CT; sagittal reformat; bone-window reconstruction
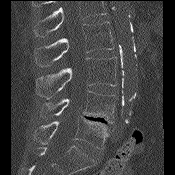 Where the top of the scan cuts through a vertebra, that vertebra gets no label or box.
<vertebrae><v name="L2" x1="34" y1="21" x2="112" y2="66"/><v name="L3" x1="36" y1="57" x2="116" y2="98"/><v name="L4" x1="41" y1="91" x2="117" y2="123"/><v name="L5" x1="34" y1="116" x2="108" y2="149"/></vertebrae>